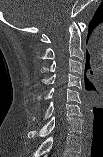 Spine CT — sagittal view
In this scan, the topmost labeled vertebra is C1 and the lowest is C7.
<vertebrae><v name="C1" x1="40" y1="22" x2="86" y2="42"/><v name="C2" x1="39" y1="21" x2="83" y2="59"/><v name="C3" x1="40" y1="58" x2="83" y2="74"/><v name="C4" x1="41" y1="73" x2="81" y2="89"/><v name="C5" x1="36" y1="88" x2="81" y2="103"/><v name="C6" x1="32" y1="101" x2="82" y2="120"/><v name="C7" x1="28" y1="116" x2="83" y2="137"/></vertebrae>